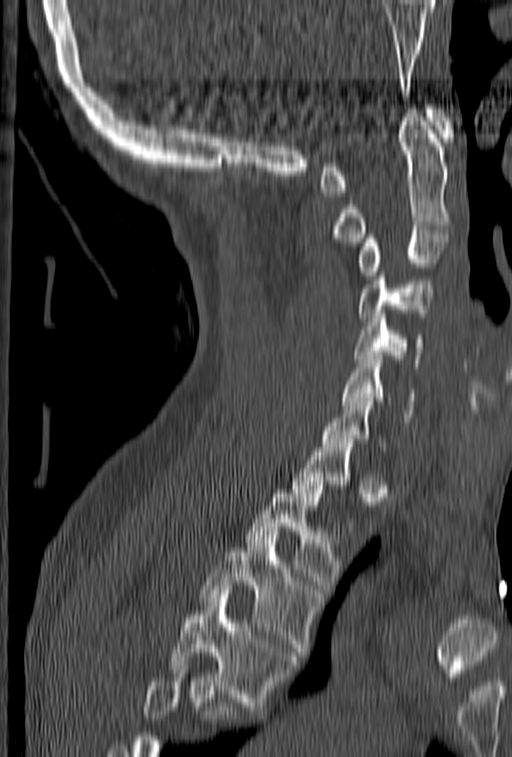

Spine CT — sagittal view — bone-window reconstruction
Coordinates as <box>x1,y1,x2,y2</box>.
A vertebra is boxed only from the first to the last slice where its cross-section is at least a third of its largest; slices outside that range leave it without a box.
No box is given to a vertebra that the bottom edge of the scan cuts off.
Vertebra bounding boxes:
- C1: <box>319,105,455,196</box>
- C2: <box>332,109,451,246</box>
- C3: <box>356,230,449,279</box>
- C4: <box>356,264,435,321</box>
- C5: <box>353,310,422,367</box>
- C6: <box>343,356,415,421</box>
- C7: <box>321,389,385,451</box>
- T2: <box>245,485,340,593</box>
- T3: <box>199,531,321,660</box>
- T4: <box>167,590,298,710</box>